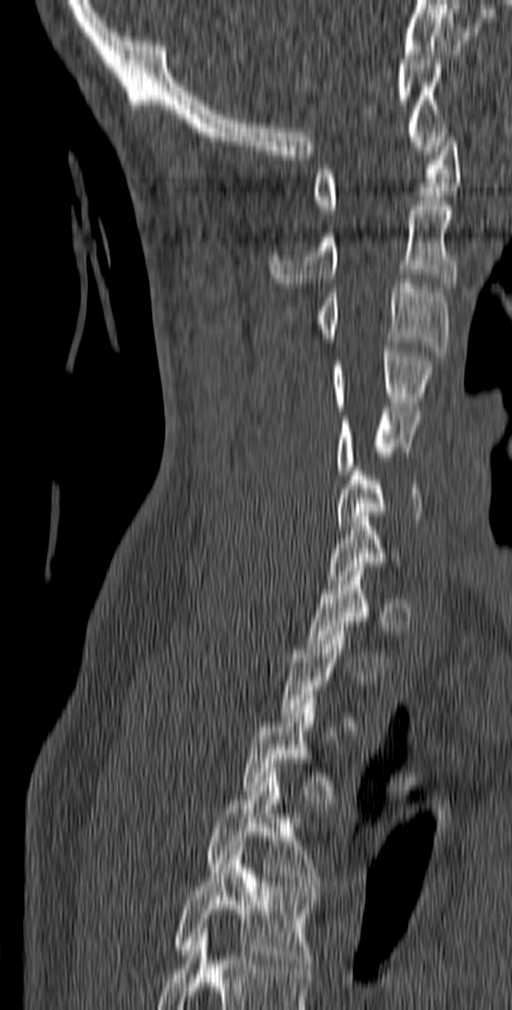

CT; sagittal reformat; W/L 1800/400 HU; 512x1010 px
Box values are [left, top, right, bottom] in pixels.
A vertebra gets a box only on the slices from the first to the last where its cross-section is at least a third of its largest; on a slice outside that range it gets none.
{"vertebrae":{"T5":[173,850,314,973],"T4":[206,773,321,890],"T3":[242,695,333,804],"C7":[327,512,399,580],"C6":[334,466,421,529],"C5":[335,407,421,474],"C4":[330,347,436,406],"C3":[314,279,449,356],"C2":[270,201,458,287],"C1":[312,128,461,214]}}